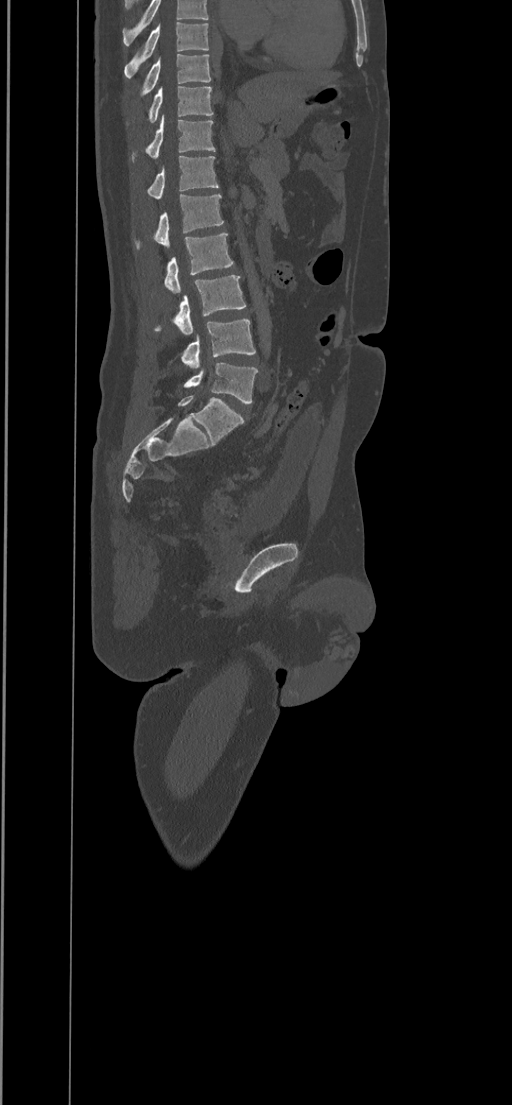
Computed tomography of the spine; sagittal view; bone-window reconstruction; 512x1105 px
Box edges are left/top/right/bottom in pixels.
In this scan, the topmost labeled vertebra is T8 and the lowest is L5.
Vertebra bounding boxes:
- T8: left=124, top=22, right=209, bottom=77
- T9: left=140, top=54, right=211, bottom=97
- T10: left=126, top=86, right=212, bottom=125
- T11: left=130, top=115, right=215, bottom=161
- T12: left=146, top=156, right=218, bottom=199
- L1: left=133, top=193, right=223, bottom=250
- L2: left=164, top=233, right=234, bottom=293
- L3: left=153, top=275, right=245, bottom=335
- L4: left=180, top=319, right=255, bottom=367
- L5: left=183, top=362, right=257, bottom=404